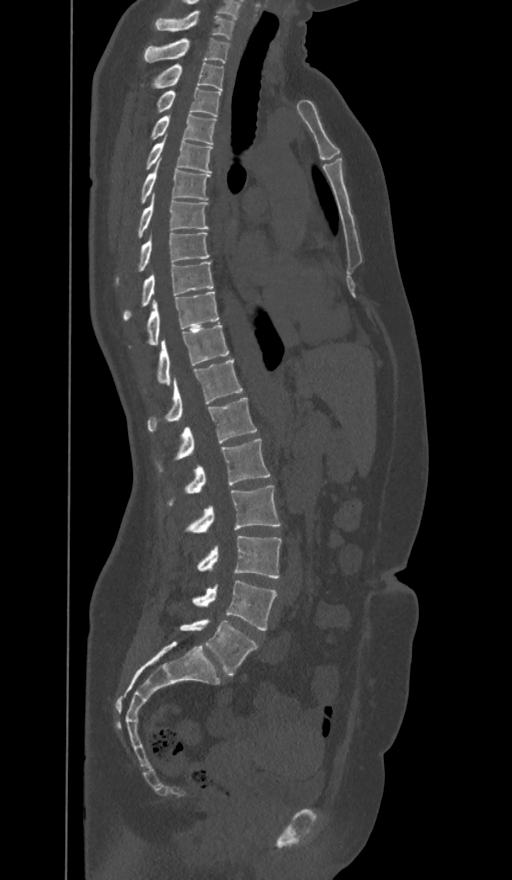

Spine CT · sagittal view · the image is 374 mm wide · W/L 1800/400 HU · 512x880 px
Bounding boxes as [x1, y1, x2, y2] in pixel coordinates.
The labels name a sixth lumbar vertebra for this spine: L6, after L5.
Vertebra bounding boxes:
- L6: [179, 620, 258, 675]
- L5: [191, 580, 277, 630]
- L4: [196, 536, 281, 578]
- L3: [183, 485, 279, 532]
- L2: [167, 439, 270, 505]
- L1: [155, 398, 256, 472]
- T12: [148, 360, 242, 431]
- T11: [141, 324, 229, 392]
- T10: [128, 291, 219, 349]
- T9: [123, 261, 214, 321]
- T8: [115, 233, 210, 286]
- T7: [137, 193, 208, 238]
- T6: [141, 158, 210, 204]
- T5: [144, 140, 212, 171]
- T4: [149, 115, 215, 143]
- T3: [156, 87, 221, 116]
- T2: [141, 63, 223, 89]
- T1: [144, 38, 229, 63]
- C7: [155, 11, 233, 38]